Computed tomography of the spine. sagittal reformat. 228x349 px. scan covers 9 annotated vertebrae. image width 228 mm
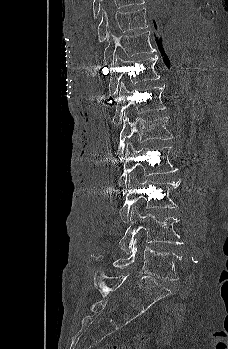

Boxes: x1 y1 x2 y2 (pixel coords, space-separated).
Vertebra bounding boxes:
- T9: 97 8 148 41
- T10: 104 30 156 65
- T11: 108 54 160 96
- T12: 112 81 166 128
- L1: 116 111 172 160
- L2: 118 143 178 194
- L3: 119 173 180 222
- L4: 119 207 184 253
- L5: 91 238 182 280